Spine CT — sagittal reformat
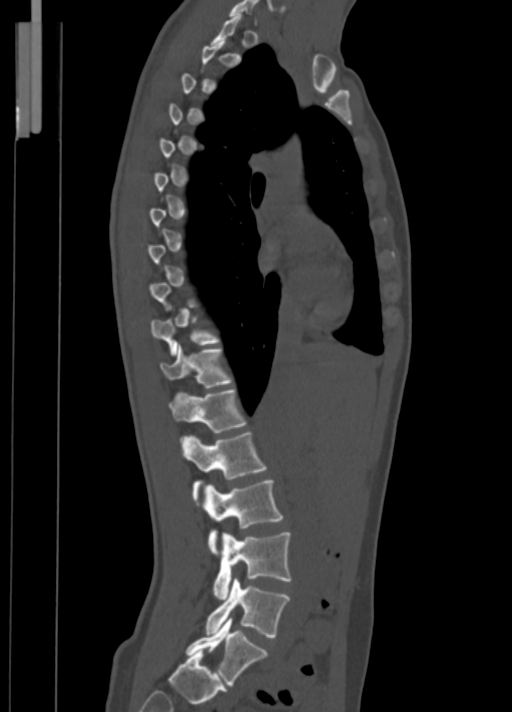 Not every vertebra on this slice has a box: a vertebra is boxed only from the first to the last slice where its cross-section is at least a third of its largest, and this slice is outside that range for at least one of them.
<vertebrae><v name="C7" x1="229" y1="0" x2="258" y2="22"/><v name="T10" x1="150" y1="316" x2="220" y2="356"/><v name="T11" x1="159" y1="345" x2="233" y2="388"/><v name="T12" x1="168" y1="389" x2="246" y2="432"/><v name="L1" x1="181" y1="432" x2="266" y2="505"/><v name="L2" x1="203" y1="480" x2="283" y2="555"/><v name="L3" x1="213" y1="532" x2="291" y2="599"/><v name="L4" x1="206" y1="578" x2="290" y2="637"/><v name="L5" x1="186" y1="617" x2="268" y2="687"/></vertebrae>